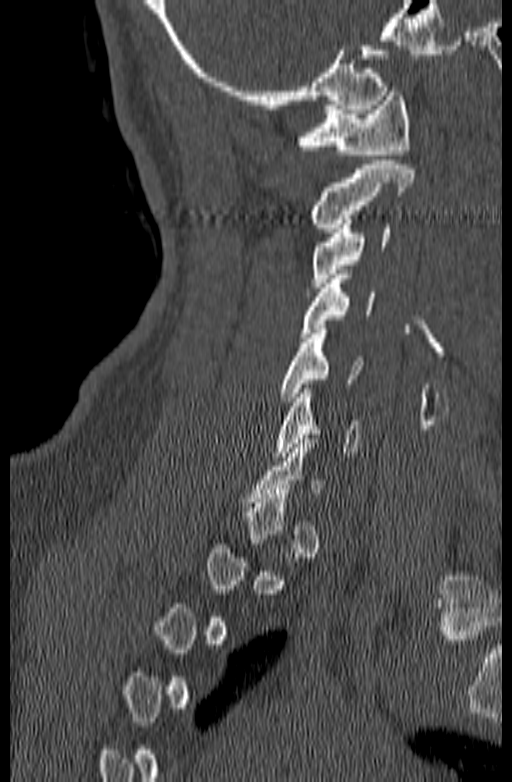 CT. sagittal reformat

Box edges are left/top/right/bottom in pixels. A vertebra is boxed only from the first to the last slice where its cross-section is at least a third of its largest; slices outside that range leave it without a box. Vertebrae labeled: C1 at left=298, top=87, right=410, bottom=154, C2 at left=309, top=160, right=413, bottom=232, C3 at left=311, top=219, right=390, bottom=296, C4 at left=301, top=274, right=373, bottom=342, C5 at left=279, top=329, right=363, bottom=401, C6 at left=274, top=389, right=360, bottom=461.